CT · sagittal view · bone-window reconstruction · 312x497 px
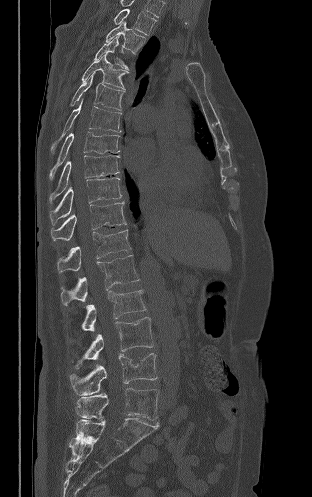

<vertebrae><v name="T2" x1="113" y1="9" x2="156" y2="34"/><v name="T3" x1="106" y1="21" x2="145" y2="54"/><v name="T4" x1="94" y1="35" x2="128" y2="69"/><v name="T5" x1="81" y1="53" x2="128" y2="89"/><v name="T6" x1="71" y1="72" x2="124" y2="110"/><v name="T7" x1="51" y1="99" x2="121" y2="153"/><v name="T8" x1="49" y1="131" x2="119" y2="178"/><v name="T9" x1="49" y1="155" x2="119" y2="203"/><v name="T10" x1="49" y1="177" x2="121" y2="225"/><v name="T11" x1="51" y1="201" x2="126" y2="241"/><v name="T12" x1="57" y1="229" x2="131" y2="272"/><v name="L1" x1="61" y1="255" x2="139" y2="305"/><v name="L2" x1="82" y1="289" x2="146" y2="330"/><v name="L3" x1="75" y1="317" x2="153" y2="368"/><v name="L4" x1="69" y1="353" x2="157" y2="395"/><v name="L5" x1="75" y1="388" x2="158" y2="420"/></vertebrae>